Computed tomography of the spine. Sagittal slice 291/512. 556x600 px
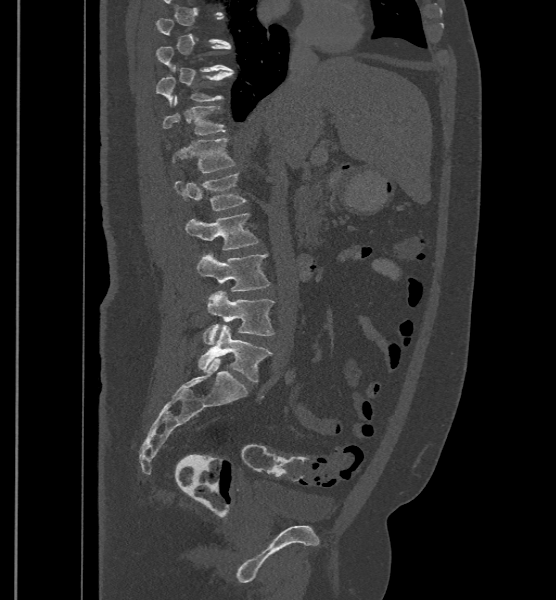
Each box given as x1,y1,x2,y2. A vertebra is boxed only from the first to the last slice where its cross-section is at least a third of its largest; slices outside that range leave it without a box. These labels give the spine a sixth lumbar vertebra, L6, below L5. Vertebrae labeled: T11 at x1=155, y1=71, x2=233, y2=106, T12 at x1=162, y1=95, x2=226, y2=135, L1 at x1=167, y1=138, x2=234, y2=172, L2 at x1=175, y1=172, x2=246, y2=210, L3 at x1=186, y1=212, x2=259, y2=250, L4 at x1=196, y1=252, x2=270, y2=291, L5 at x1=203, y1=291, x2=275, y2=345, L6 at x1=197, y1=325, x2=272, y2=381.